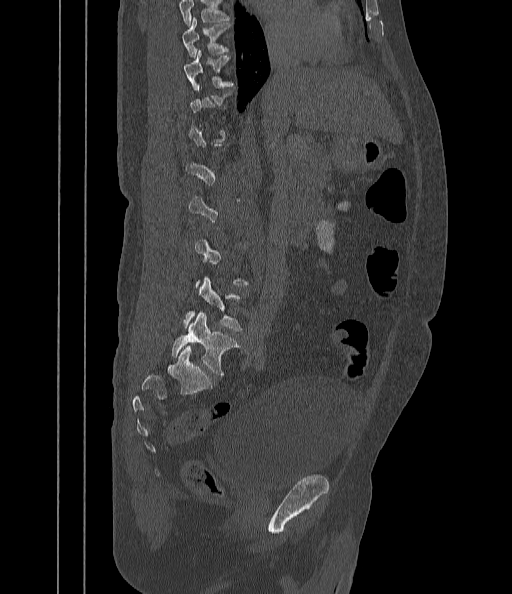
CT spine — sagittal view
Boxes are (x1, y1, x2, y2) in pixels.
A vertebra is boxed only from the first to the last slice where its cross-section is at least a third of its largest; slices outside that range leave it without a box.
Where the top of the scan cuts through a vertebra, that vertebra gets no label or box.
L5: (171, 313, 240, 376)
T10: (184, 50, 234, 89)
T9: (182, 17, 231, 56)